CT spine — Sagittal slice 264/512
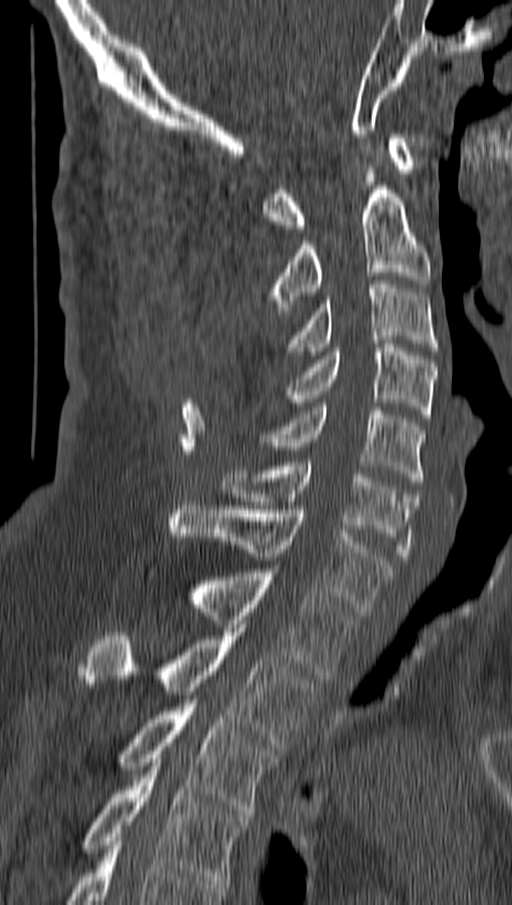 Each box is [x1, y1, x2, y2] in pixels: top-left corner, then bottom-right corner.
{"vertebrae":{"C1":[263,134,415,232],"C2":[273,186,430,311],"C3":[286,280,439,359],"C4":[286,344,436,418],"C5":[260,407,424,485],"C6":[221,462,417,560],"C7":[169,502,392,615],"T1":[150,565,357,679],"T2":[83,628,316,750],"T3":[115,699,278,817],"T4":[80,762,250,884]}}